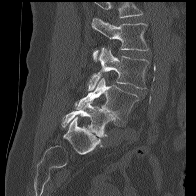 CT spine. sagittal view. bone-window reconstruction

Vertebrae that run past the top of the scan are left unlabeled.
<vertebrae><v name="L5" x1="61" y1="101" x2="115" y2="137"/><v name="L4" x1="75" y1="78" x2="139" y2="122"/><v name="L3" x1="88" y1="47" x2="149" y2="90"/><v name="L2" x1="91" y1="17" x2="149" y2="61"/></vertebrae>